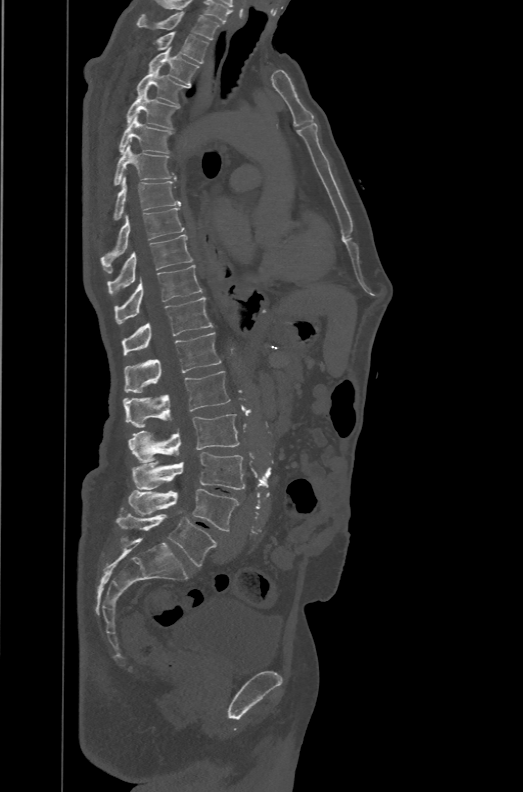

CT. sagittal view. W/L 1800/400 HU. 471 mm image width
Boxes: x1:y1:x2:y2 in pixels. These labels give the spine a sixth lumbar vertebra, L6, below L5. Vertebrae labeled: T1 at 136:11:220:40, T2 at 157:31:208:63, T3 at 148:47:199:86, T4 at 137:68:189:104, T5 at 126:91:178:129, T6 at 119:116:171:154, T7 at 113:143:177:185, T8 at 113:176:180:220, T9 at 101:208:185:273, T10 at 107:234:192:294, T11 at 114:265:202:323, T12 at 123:296:213:355, L1 at 125:332:221:392, L2 at 123:371:230:428, L3 at 128:414:239:462, L4 at 131:452:244:489, L5 at 129:489:239:531, L6 at 117:514:217:567.